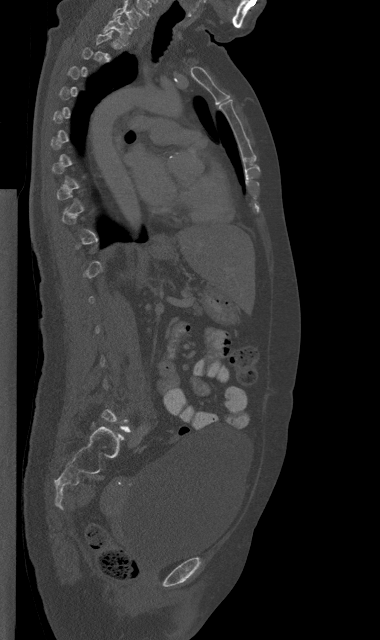

Spine CT — 380 mm image width — sagittal view — Bone window (WL 400, WW 1800)

Not every vertebra on this slice has a box: a vertebra is boxed only from the first to the last slice where its cross-section is at least a third of its largest, and this slice is outside that range for at least one of them.
<vertebrae><v name="C7" x1="113" y1="4" x2="142" y2="27"/><v name="T1" x1="102" y1="16" x2="131" y2="43"/></vertebrae>